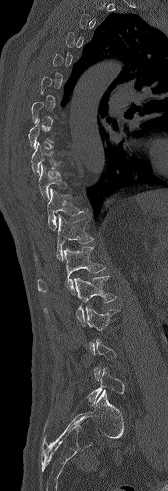

Spine CT; sagittal view; 168 mm across the image; Bone window (WL 400, WW 1800)
Each vertebra maps to its box as [x1, y1, x2, y2], the pixel coordinates of its top-left and bottom-right corners.
Not every vertebra on this slice has a box: a vertebra is boxed only from the first to the last slice where its cross-section is at least a third of its largest, and this slice is outside that range for at least one of them.
{"vertebrae":{"L5":[87,368,124,405],"L2":[44,276,116,327],"L1":[37,247,105,295],"T12":[35,214,93,262],"T11":[47,188,83,230],"T10":[38,164,67,198],"T9":[31,141,60,175]}}